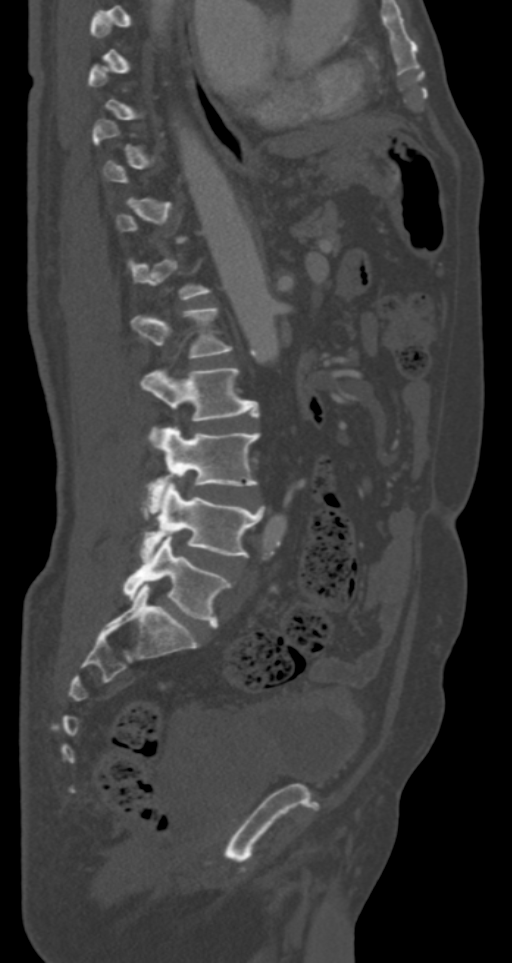

CT · sagittal view · Bone window (WL 400, WW 1800) · 512x963 px

In the table, x1 and y1 are a box's top-left corner and x2 and y2 its bottom-right corner, in pixels.
A vertebra is boxed only from the first to the last slice where its cross-section is at least a third of its largest; slices outside that range leave it without a box.
| vertebra | x1 | y1 | x2 | y2 |
|---|---|---|---|---|
| L1 | 132 | 306 | 232 | 357 |
| L2 | 141 | 367 | 259 | 440 |
| L3 | 148 | 426 | 259 | 502 |
| L4 | 141 | 481 | 264 | 561 |
| L5 | 123 | 534 | 231 | 627 |